CT — sagittal plane, index 189
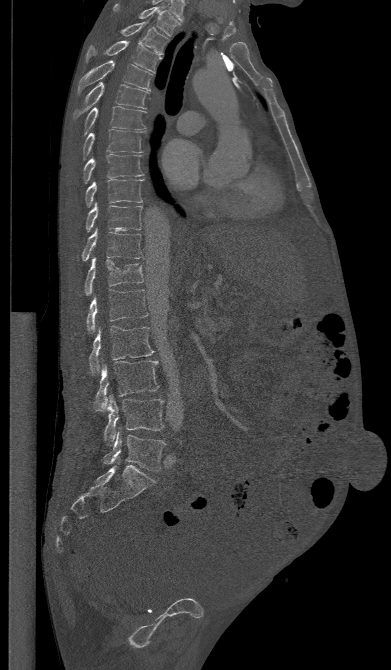 Box edges are left/top/right/bottom in pixels.
T1: left=113, top=4, right=180, bottom=36
T2: left=120, top=21, right=168, bottom=54
T3: left=86, top=41, right=162, bottom=72
T4: left=77, top=60, right=152, bottom=94
T5: left=73, top=82, right=148, bottom=120
T6: left=82, top=106, right=145, bottom=136
T7: left=81, top=129, right=145, bottom=160
T8: left=82, top=154, right=143, bottom=183
T9: left=85, top=179, right=143, bottom=207
T10: left=85, top=203, right=142, bottom=232
T11: left=81, top=229, right=142, bottom=261
T12: left=84, top=258, right=143, bottom=295
L1: left=86, top=289, right=147, bottom=332
L2: left=88, top=326, right=154, bottom=374
L3: left=92, top=360, right=159, bottom=412
L4: left=104, top=395, right=163, bottom=444
L5: left=103, top=431, right=165, bottom=470